Computed tomography of the spine · Sagittal slice 197/512 · bone window · 512x694 px · 12 vertebrae labeled in this scan
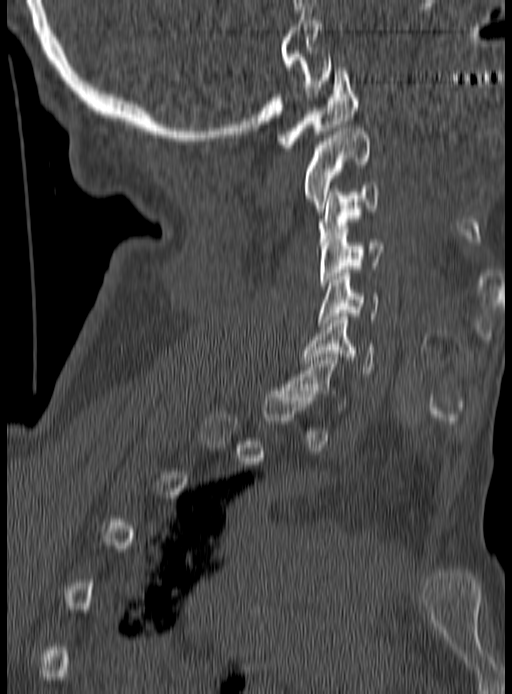
Boxes: x1 y1 x2 y2 (pixel coords, space-separated).
A vertebra is boxed only from the first to the last slice where its cross-section is at least a third of its largest; slices outside that range leave it without a box.
C1: 278 67 358 147
C2: 303 128 369 211
C3: 319 182 380 245
C4: 319 226 385 289
C5: 319 273 380 326
C6: 303 317 374 376